Spine computed tomography — sagittal view — W/L 1800/400 HU — 512x782 px
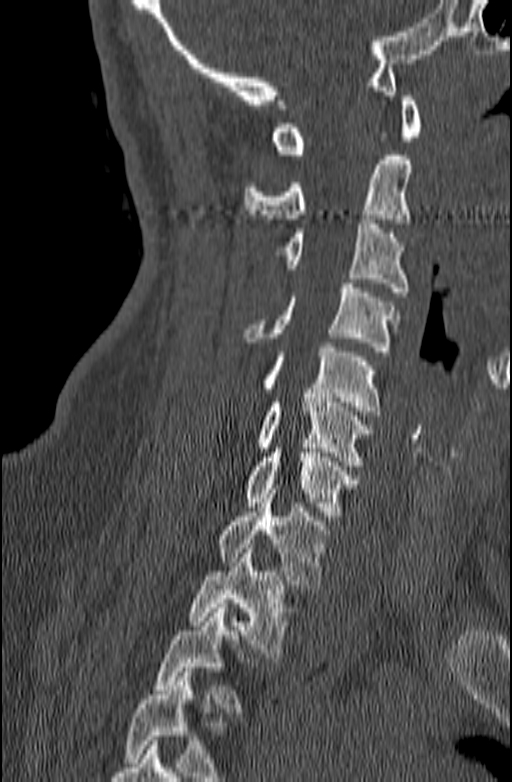

Box edges are left/top/right/bottom in pixels.
A vertebra cut off by the bottom edge of the scan is not labeled and has no box.
Vertebra bounding boxes:
- T3: left=154, top=603, right=251, bottom=712
- T2: left=188, top=544, right=287, bottom=657
- T1: left=217, top=489, right=331, bottom=589
- C7: left=246, top=443, right=359, bottom=516
- C6: left=255, top=393, right=373, bottom=465
- C5: left=264, top=347, right=380, bottom=410
- C4: left=243, top=283, right=399, bottom=351
- C3: left=281, top=219, right=408, bottom=296
- C2: left=244, top=155, right=411, bottom=223
- C1: left=271, top=91, right=422, bottom=154